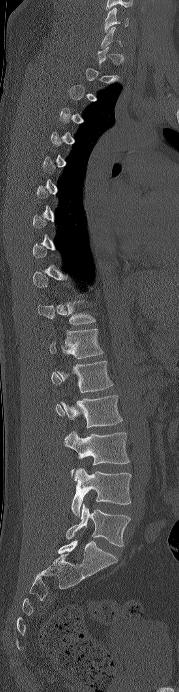
CT, spine; sagittal view; bone window
Each box given as x1,y1,x2,y2. Each vertebra is boxed only on the slices from the first to the last where its cross-section reaches a third of its largest, so a slice outside that range leaves it unboxed. The labeled vertebrae in this slice are: C6 at x1=104, y1=7, x2=128, y2=32, T11 at x1=38, y1=300, x2=95, y2=324, T12 at x1=49, y1=329, x2=103, y2=358, L1 at x1=51, y1=361, x2=113, y2=392, L2 at x1=55, y1=395, x2=122, y2=428, L3 at x1=64, y1=431, x2=129, y2=475, L4 at x1=71, y1=468, x2=131, y2=516, L5 at x1=66, y1=503, x2=130, y2=546.